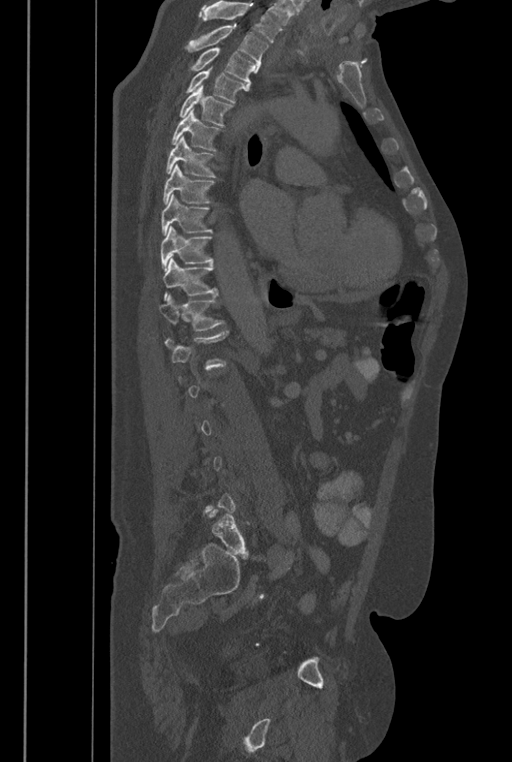

CT; sagittal reformat; 512x762 px. Each row gives a vertebra's box as x1, y1, x2, y2 in pixels: top-left corner, then bottom-right corner.
A vertebra is boxed only from the first to the last slice where its cross-section is at least a third of its largest; slices outside that range leave it without a box.
Vertebrae that run past the top of the scan are left unlabeled.
In these labels the spine has an L6, a sixth lumbar vertebra below L5.
| vertebra | x1 | y1 | x2 | y2 |
|---|---|---|---|---|
| T2 | 187 | 26 | 268 | 72 |
| T3 | 190 | 48 | 255 | 91 |
| T4 | 186 | 66 | 245 | 102 |
| T5 | 179 | 85 | 234 | 125 |
| T6 | 171 | 108 | 219 | 151 |
| T7 | 166 | 135 | 215 | 177 |
| T8 | 163 | 164 | 214 | 204 |
| T9 | 161 | 194 | 211 | 235 |
| T10 | 161 | 226 | 212 | 271 |
| T11 | 162 | 258 | 217 | 300 |
| T12 | 158 | 294 | 225 | 330 |
| L6 | 209 | 509 | 249 | 555 |